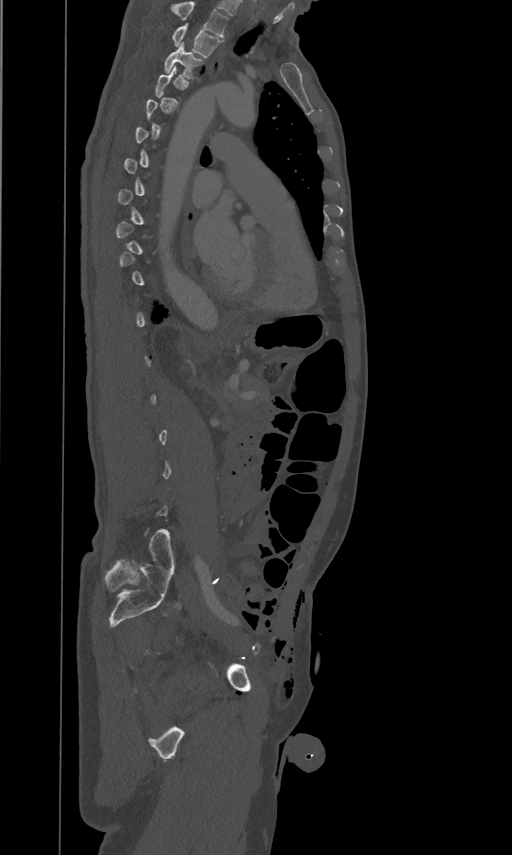

CT, spine; sagittal view

Each row gives a vertebra's box as x1, y1, x2, y2 in pixels: top-left corner, then bottom-right corner.
A vertebra is boxed only from the first to the last slice where its cross-section is at least a third of its largest; slices outside that range leave it without a box.
In this scan, the topmost labeled vertebra is T2 and the lowest is L5.
| vertebra | x1 | y1 | x2 | y2 |
|---|---|---|---|---|
| T2 | 171 | 23 | 222 | 57 |
| T3 | 164 | 43 | 203 | 78 |